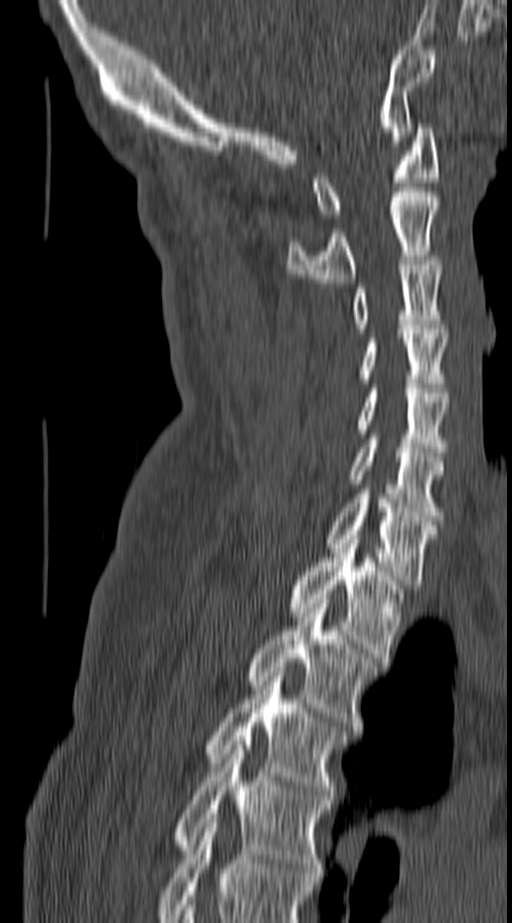
Spine CT — 140 mm wide — sagittal view

Box edges are left/top/right/bottom in pixels. This scan's labels start at C1 at the top and end at T4 at the bottom. 11 vertebrae labeled — C1 at left=312, top=123, right=439, bottom=218; C2 at left=287, top=192, right=439, bottom=282; C3 at left=352, top=261, right=443, bottom=328; C4 at left=360, top=329, right=447, bottom=388; C5 at left=356, top=389, right=447, bottom=456; C6 at left=349, top=434, right=443, bottom=520; C7 at left=327, top=494, right=436, bottom=584; T1 at left=287, top=539, right=403, bottom=662; T2 at left=246, top=599, right=377, bottom=730; T3 at left=206, top=672, right=344, bottom=799; T4 at left=173, top=741, right=329, bottom=877.